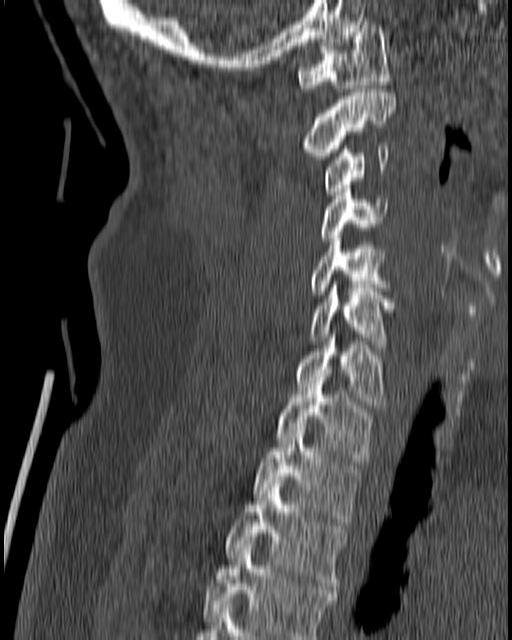 Computed tomography of the spine — sagittal view — 512x640 px — image width 180 mm
Boxes: x1 y1 x2 y2 (pixel coords, space-separated). Vertebrae labeled: T4 at 203 544 338 639, T3 at 226 480 347 589, T2 at 253 427 361 525, T1 at 274 380 373 461, C7 at 294 334 387 408, C6 at 308 284 395 347, C5 at 308 235 390 294, C4 at 319 188 390 241, C3 at 322 146 389 195, C2 at 300 89 396 159, C1 at 297 21 390 91.